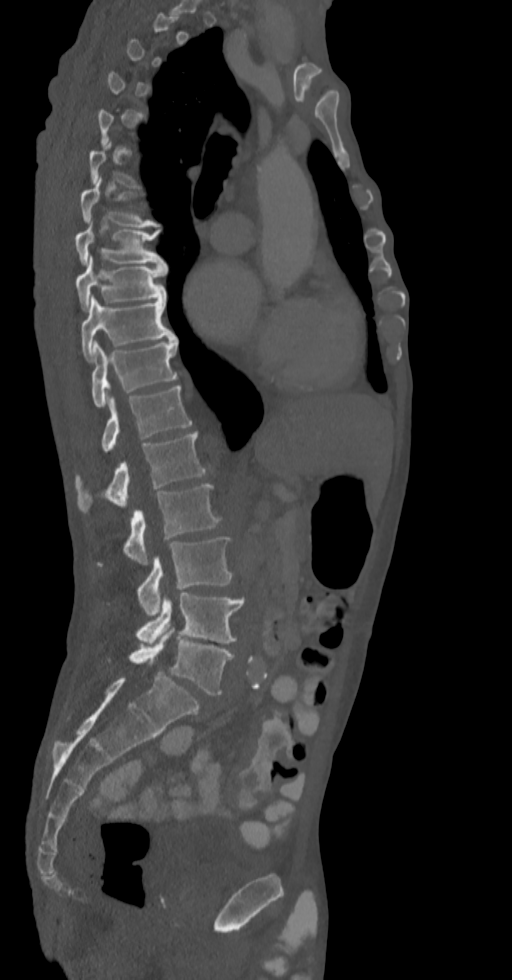
Computed tomography of the spine · sagittal view · bone-window reconstruction

Columns x1, y1, x2, y2 give each box's top-left and bottom-right pixels.
A vertebra gets a box only on the slices from the first to the last where its cross-section is at least a third of its largest; on a slice outside that range it gets none.
| vertebra | x1 | y1 | x2 | y2 |
|---|---|---|---|---|
| L5 | 129 | 626 | 233 | 694 |
| L4 | 137 | 593 | 244 | 645 |
| L3 | 137 | 536 | 232 | 618 |
| L2 | 125 | 483 | 221 | 564 |
| L1 | 76 | 431 | 207 | 511 |
| T12 | 102 | 386 | 192 | 452 |
| T11 | 91 | 338 | 177 | 407 |
| T10 | 80 | 296 | 175 | 360 |
| T9 | 74 | 256 | 166 | 310 |
| T8 | 74 | 229 | 165 | 266 |
| T7 | 80 | 178 | 159 | 226 |